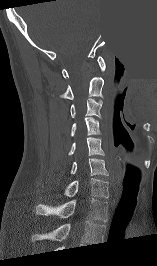

Spine computed tomography — sagittal view — 157x266 px — a region of this slice is masked with a uniform fill

Boxes: x1:y1:x2:y2 in pixels.
Labels in this scan begin with C1 at the top and end with T1 at the bottom.
C1: 62:56:105:78
C2: 59:77:103:99
C3: 70:98:102:118
C4: 70:117:101:136
C5: 68:135:104:156
C6: 71:158:108:175
C7: 64:177:108:198
T1: 36:197:107:221